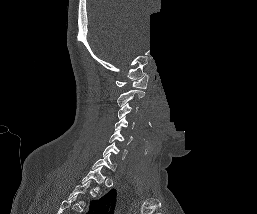

Computed tomography of the spine; sagittal view; W/L 1800/400 HU; an area of the scan was removed and filled with constant pixels
Boxes are (x1, y1, x2, y2) in pixels.
Labels in this scan begin with C1 at the top and end with T1 at the bottom.
Vertebra bounding boxes:
- T1: (81, 166, 105, 193)
- C7: (90, 153, 116, 171)
- C6: (102, 142, 127, 159)
- C5: (109, 129, 133, 144)
- C4: (114, 116, 135, 130)
- C3: (117, 103, 138, 118)
- C2: (117, 90, 144, 106)
- C1: (115, 73, 148, 89)